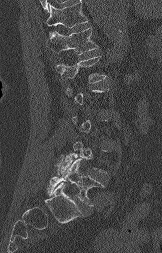 CT; sagittal view; bone-window reconstruction; 162x253 px
Boxes are (x1, y1, x2, y2) in pixels.
A vertebra gets a box only on the slices from the first to the last where its cross-section is at least a third of its largest; on a slice outside that range it gets none.
Where the top of the scan cuts through a vertebra, that vertebra gets no label or box.
T12: (46, 27, 98, 54)
L1: (56, 56, 106, 83)
L4: (61, 141, 106, 173)
L5: (47, 156, 102, 206)